CT spine. sagittal plane, index 259
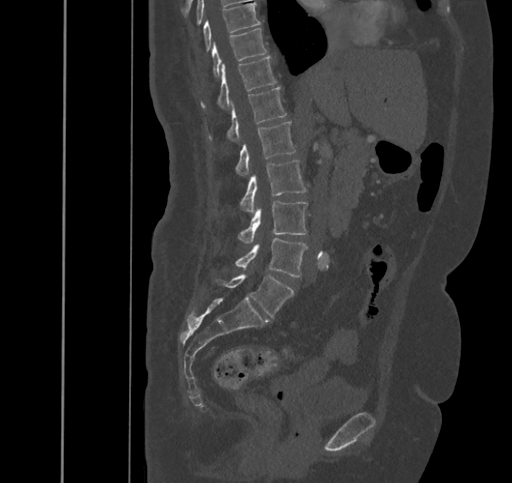
In the table, x1 and y1 are a box's top-left corner and x2 and y2 its bottom-right corner, in pixels.
| vertebra | x1 | y1 | x2 | y2 |
|---|---|---|---|---|
| T9 | 204 | 3 | 260 | 50 |
| T10 | 212 | 28 | 267 | 76 |
| T11 | 201 | 56 | 276 | 108 |
| T12 | 209 | 87 | 287 | 141 |
| L1 | 236 | 121 | 295 | 174 |
| L2 | 240 | 161 | 306 | 212 |
| L3 | 238 | 201 | 307 | 242 |
| L4 | 235 | 237 | 307 | 277 |
| L5 | 216 | 274 | 293 | 317 |